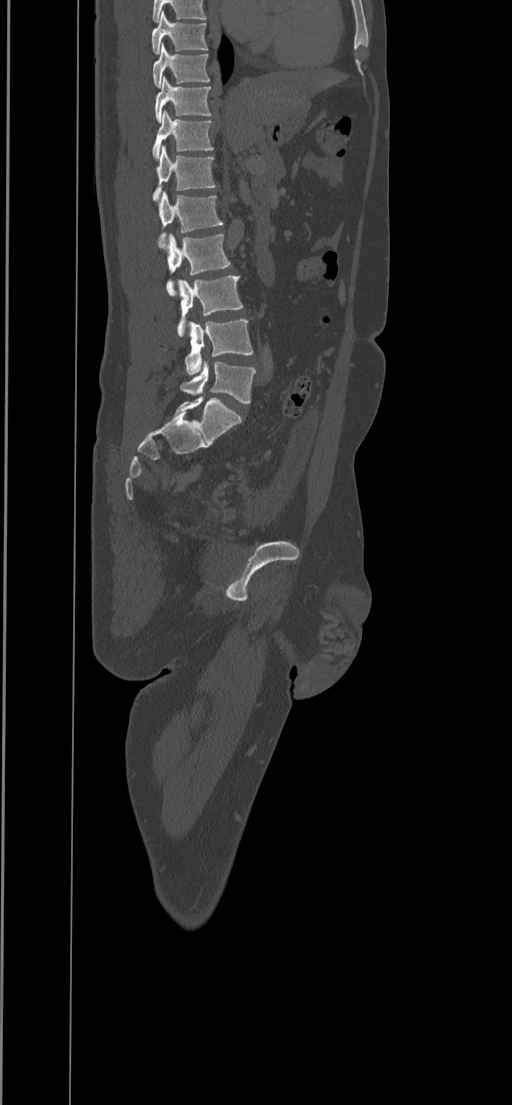
Spine computed tomography — image width 434 mm — sagittal view — 512x1105 px
Box edges are left/top/right/bottom in pixels.
In this scan, the topmost labeled vertebra is T8 and the lowest is L5.
L5: left=180, top=361, right=256, bottom=402
L4: left=185, top=319, right=253, bottom=375
L3: left=177, top=276, right=243, bottom=337
L2: left=166, top=234, right=230, bottom=295
L1: left=158, top=191, right=223, bottom=247
T12: left=152, top=145, right=216, bottom=201
T11: left=152, top=110, right=213, bottom=161
T10: left=154, top=76, right=211, bottom=122
T9: left=153, top=44, right=210, bottom=87
T8: left=151, top=12, right=208, bottom=54